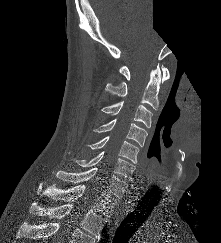 CT · sagittal view · bone-window reconstruction · a portion of the image is blanked out (constant pixel value). Bounding boxes as [x1, y1, x2, y2] in pixel coordinates.
Vertebra bounding boxes:
- C1: [119, 65, 169, 83]
- C2: [105, 63, 160, 109]
- C3: [101, 101, 152, 128]
- C4: [93, 118, 147, 146]
- C5: [87, 136, 139, 163]
- C6: [75, 151, 135, 181]
- C7: [55, 167, 127, 198]
- T1: [41, 183, 117, 216]
- T2: [30, 202, 106, 241]